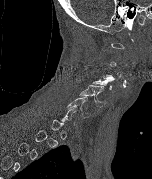

CT spine. sagittal view
A vertebra is boxed only from the first to the last slice where its cross-section is at least a third of its largest; slices outside that range leave it without a box.
<vertebrae><v name="C4" x1="92" y1="74" x2="115" y2="92"/><v name="C5" x1="79" y1="85" x2="105" y2="107"/><v name="C6" x1="66" y1="97" x2="89" y2="118"/></vertebrae>